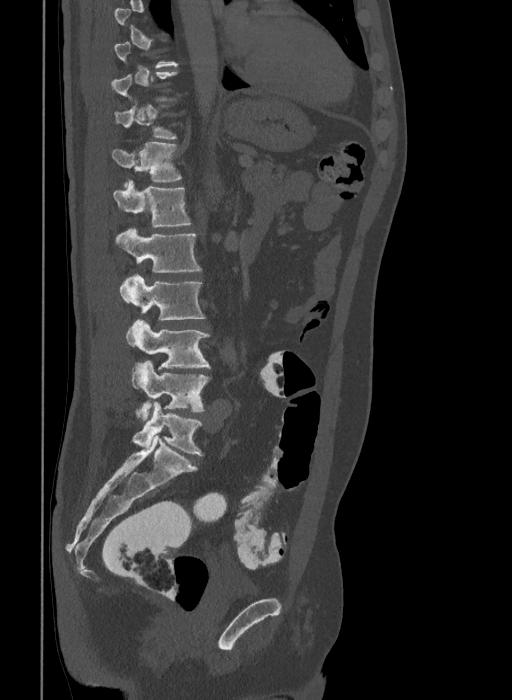
CT, spine. sagittal view. 512x700 px
Each box given as x1,y1,x2,y2.
A vertebra is boxed only from the first to the last slice where its cross-section is at least a third of its largest; slices outside that range leave it without a box.
In these labels the spine has an L6, a sixth lumbar vertebra below L5.
Vertebra bounding boxes:
- T12: x1=112, y1=142, x2=182, y2=187
- L1: x1=114, y1=180, x2=190, y2=227
- L2: x1=116, y1=228, x2=202, y2=272
- L3: x1=119, y1=274, x2=205, y2=320
- L4: x1=126, y1=319, x2=210, y2=370
- L5: x1=131, y1=361, x2=210, y2=420
- L6: x1=132, y1=401, x2=203, y2=455